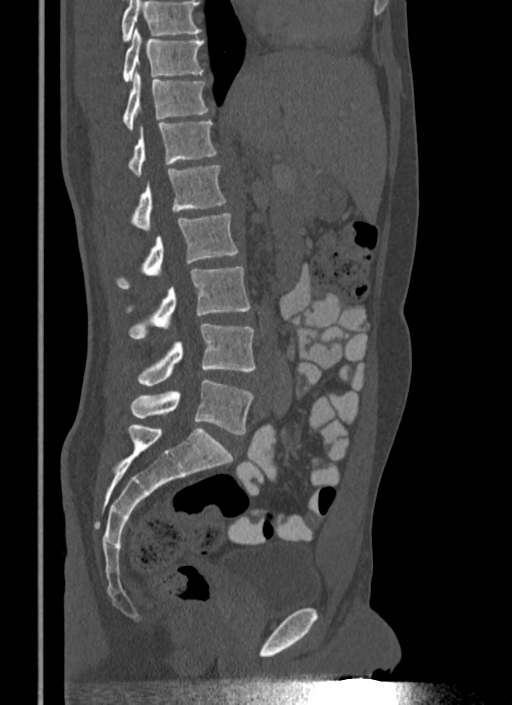 Computed tomography of the spine; sagittal view; the image is 340 mm wide
Where the top of the scan cuts through a vertebra, that vertebra gets no label or box.
<vertebrae><v name="T10" x1="123" y1="29" x2="204" y2="82"/><v name="T11" x1="123" y1="72" x2="208" y2="130"/><v name="T12" x1="128" y1="120" x2="216" y2="175"/><v name="L1" x1="131" y1="166" x2="226" y2="229"/><v name="L2" x1="117" y1="212" x2="238" y2="288"/><v name="L3" x1="128" y1="267" x2="250" y2="338"/><v name="L4" x1="138" y1="324" x2="255" y2="386"/><v name="L5" x1="131" y1="379" x2="253" y2="434"/></vertebrae>